CT spine. image width 140 mm. Sagittal slice 204/512. scan covers 10 annotated vertebrae
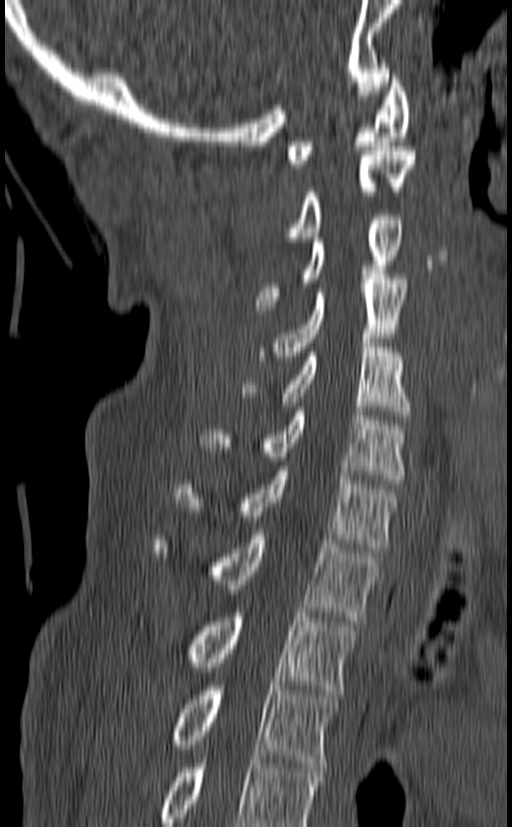

Box edges are left/top/right/bottom in pixels.
Labels in this scan begin with C1 at the top and end with T3 at the bottom.
| vertebra | x1 | y1 | x2 | y2 |
|---|---|---|---|---|
| C1 | 287 | 73 | 410 | 168 |
| C2 | 282 | 146 | 416 | 241 |
| C3 | 256 | 215 | 402 | 314 |
| C4 | 259 | 274 | 407 | 360 |
| C5 | 242 | 343 | 410 | 420 |
| C6 | 199 | 407 | 406 | 484 |
| C7 | 177 | 466 | 399 | 552 |
| T1 | 153 | 530 | 377 | 621 |
| T2 | 184 | 608 | 356 | 694 |
| T3 | 170 | 686 | 337 | 767 |